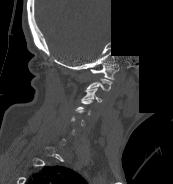 Spine CT. sagittal view. 173 mm wide. W/L 1800/400 HU. some of the image was removed or blocked out with constant pixels. Boxes are (x1, y1, x2, y2) in pixels.
A vertebra is boxed only from the first to the last slice where its cross-section is at least a third of its largest; slices outside that range leave it without a box.
C1: (90, 63, 119, 79)
C3: (82, 87, 102, 102)
C4: (75, 99, 92, 114)